Spine CT · sagittal reformat
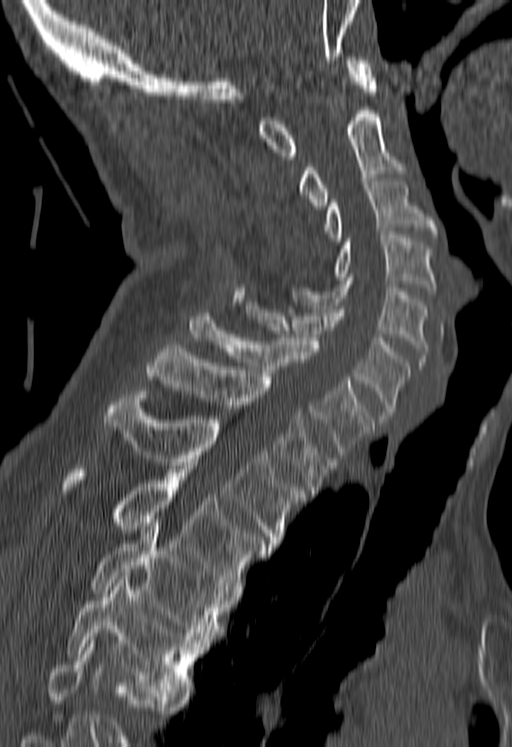
Each box given as x1,y1,x2,y2. Vertebrae that run past the bottom of the scan are left unlabeled. Vertebrae labeled: C1 at x1=259, y1=57, x2=377, y2=159, C2 at x1=300, y1=110, x2=404, y2=209, C3 at x1=325, y1=181, x2=435, y2=241, C4 at x1=334, y1=231, x2=435, y2=294, C5 at x1=286, y1=277, x2=427, y2=365, C6 at x1=245, y1=302, x2=410, y2=419, C7 at x1=189, y1=313, x2=373, y2=454, T1 at x1=146, y1=345, x2=336, y2=493, T2 at x1=104, y1=391, x2=304, y2=547, T3 at x1=61, y1=469, x2=270, y2=589, T4 at x1=89, y1=526, x2=227, y2=643, T5 at x1=66, y1=572, x2=205, y2=696.